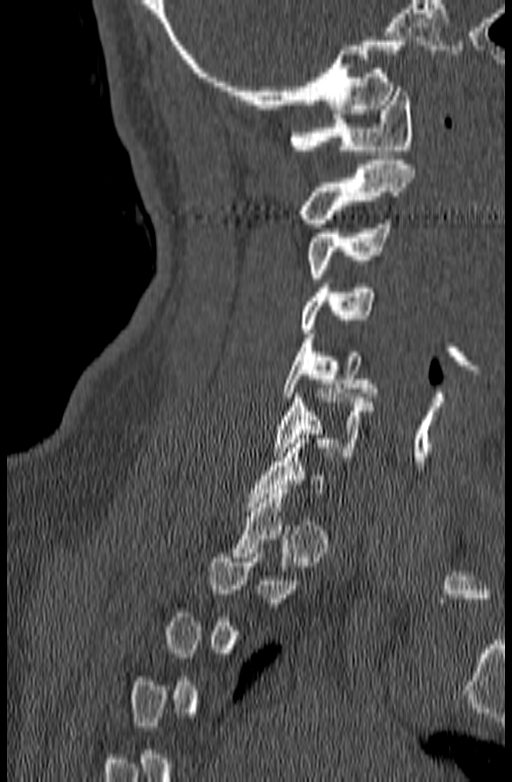
CT, spine · sagittal view · 140 mm image width · W/L 1800/400 HU · 512x782 px
In the table, x1 and y1 are a box's top-left corner and x2 and y2 its bottom-right corner, in pixels.
Not every vertebra on this slice has a box: a vertebra is boxed only from the first to the last slice where its cross-section is at least a third of its largest, and this slice is outside that range for at least one of them.
| vertebra | x1 | y1 | x2 | y2 |
|---|---|---|---|---|
| C6 | 273 | 389 | 373 | 456 |
| C5 | 282 | 334 | 376 | 397 |
| C4 | 301 | 283 | 374 | 333 |
| C3 | 308 | 219 | 389 | 278 |
| C2 | 301 | 160 | 415 | 228 |
| C1 | 288 | 87 | 414 | 154 |